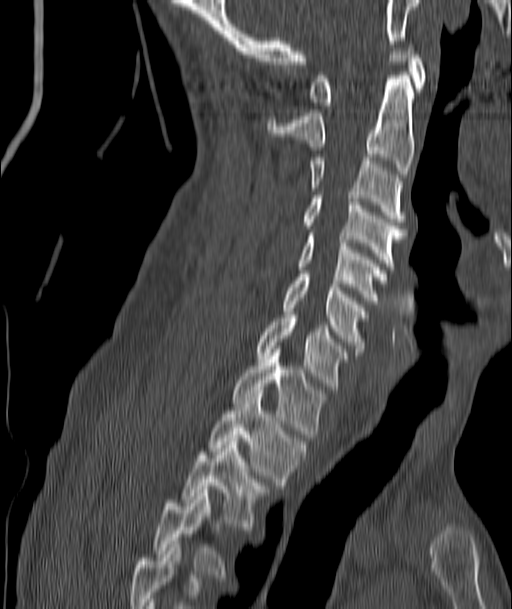 Computed tomography of the spine. sagittal view. Bone window (WL 400, WW 1800). 512x609 px

Coordinates as <box>x1,y1,x2,y2</box>.
In this scan, the topmost labeled vertebra is C1 and the lowest is T4.
Vertebra bounding boxes:
- T4: <box>154,493,224,577</box>
- T3: <box>182,438,268,529</box>
- T2: <box>209,394,307,488</box>
- T1: <box>231,356,326,437</box>
- C7: <box>255,315,348,389</box>
- C6: <box>283,274,367,355</box>
- C5: <box>297,233,386,300</box>
- C4: <box>302,195,405,269</box>
- C3: <box>308,157,405,221</box>
- C2: <box>266,79,413,174</box>
- C1: <box>310,44,425,109</box>